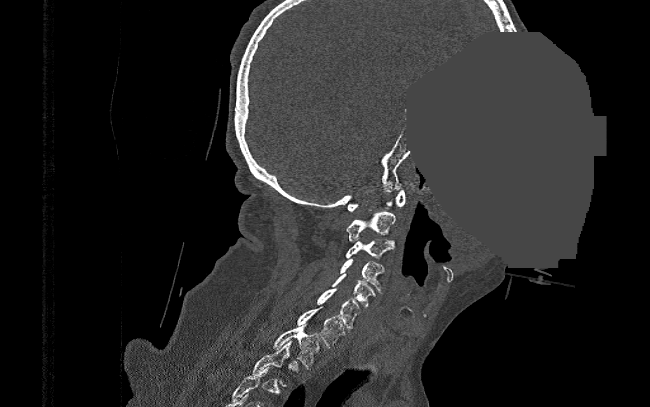
Computed tomography of the spine; sagittal view; 650x407 px; the image spans 390 mm across; an area of the scan was removed and filled with constant pixels
Box edges are left/top/right/bottom in pixels. Each vertebra is boxed only on the slices from the first to the last where its cross-section reaches a third of its largest, so a slice outside that range leaves it unboxed. Vertebrae labeled: T1 at left=273, top=324, right=319, bottom=368, C7 at left=297, top=306, right=347, bottom=347, C6 at left=316, top=288, right=361, bottom=328, C5 at left=333, top=274, right=376, bottom=307, C4 at left=340, top=259, right=384, bottom=292, C3 at left=345, top=240, right=395, bottom=258, C2 at left=347, top=212, right=395, bottom=241, C1 at left=348, top=189, right=405, bottom=211.